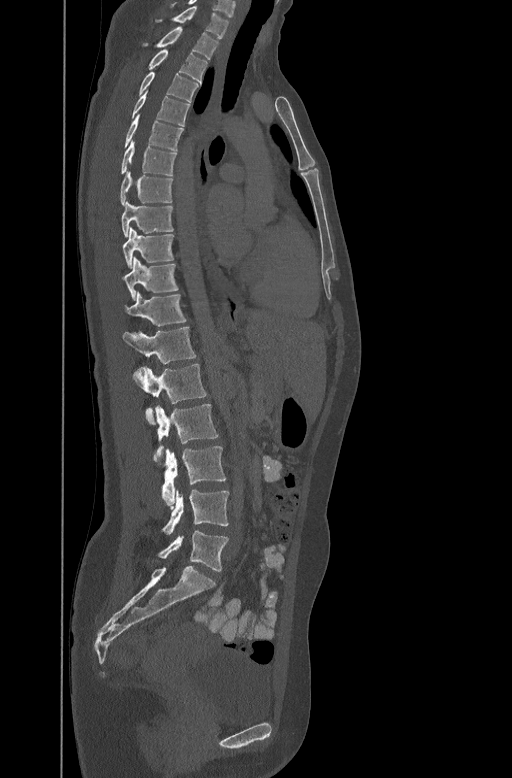 Spine CT — sagittal view — W/L 1800/400 HU
Boxes are (x1, y1, x2, y2) in pixels. The labeled vertebrae in this slice are: L5 at (158, 530, 228, 571), L4 at (161, 490, 229, 533), L3 at (161, 446, 226, 506), L2 at (155, 404, 218, 465), L1 at (134, 363, 207, 424), T12 at (122, 325, 196, 363), T11 at (125, 291, 187, 325), T10 at (125, 256, 179, 299), T9 at (122, 227, 174, 267), T8 at (121, 200, 173, 236), T7 at (120, 170, 173, 204), T6 at (120, 140, 176, 175), T5 at (124, 114, 183, 148), T4 at (131, 94, 189, 125), T3 at (137, 70, 199, 100), T2 at (147, 48, 207, 81), T1 at (143, 26, 218, 58), C7 at (155, 5, 229, 37).